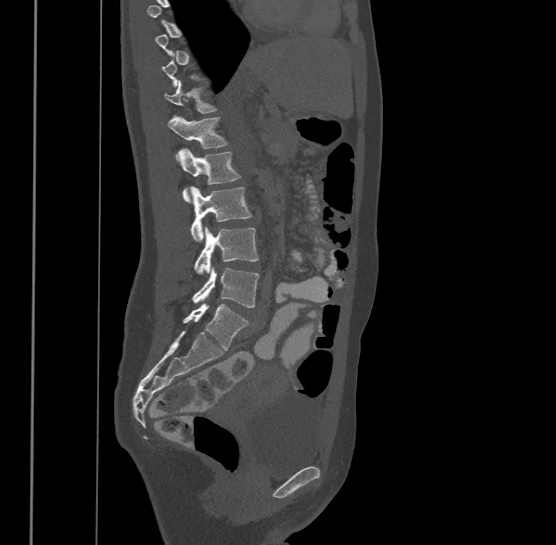

CT, spine. sagittal reformat. bone-window reconstruction. 500 mm image width

Not every vertebra on this slice has a box: a vertebra is boxed only from the first to the last slice where its cross-section is at least a third of its largest, and this slice is outside that range for at least one of them.
Labels in this scan begin with T9 at the top and end with L4 at the bottom.
<vertebrae><v name="T11" x1="164" y1="78" x2="218" y2="113"/><v name="T12" x1="167" y1="114" x2="228" y2="159"/><v name="L1" x1="181" y1="148" x2="241" y2="201"/><v name="L2" x1="189" y1="186" x2="251" y2="240"/><v name="L3" x1="194" y1="225" x2="259" y2="273"/><v name="L4" x1="192" y1="264" x2="259" y2="307"/></vertebrae>